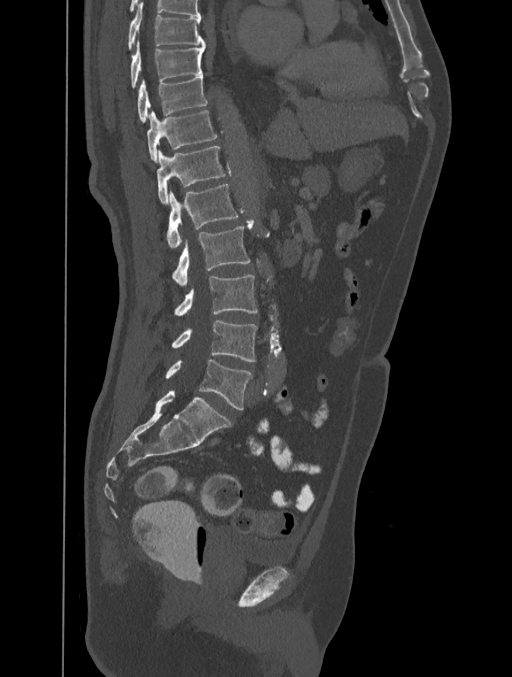 Spine CT; sagittal view. Columns x1, y1, x2, y2 give each box's top-left and bottom-right pixels.
| vertebra | x1 | y1 | x2 | y2 |
|---|---|---|---|---|
| T8 | 128 | 2 | 204 | 48 |
| T9 | 130 | 41 | 204 | 87 |
| T10 | 138 | 75 | 207 | 122 |
| T11 | 147 | 110 | 217 | 161 |
| T12 | 157 | 146 | 226 | 204 |
| L1 | 167 | 184 | 238 | 248 |
| L2 | 172 | 226 | 250 | 286 |
| L3 | 175 | 275 | 257 | 316 |
| L4 | 172 | 321 | 257 | 362 |
| L5 | 166 | 359 | 252 | 409 |